Spine computed tomography; sagittal reformat; 283x512 px
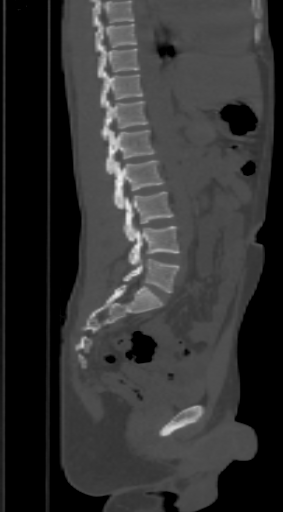
Box values are [left, top, right, bottom] in pixels.
Where the top of the scan cuts through a vertebra, that vertebra gets no label or box.
{"vertebrae":{"L5":[123,259,178,293],"L4":[129,226,178,264],"L3":[123,191,173,241],"L2":[112,160,164,209],"L1":[106,129,156,174],"T12":[101,100,147,140],"T11":[101,70,142,107],"T10":[98,45,139,77],"T9":[95,21,136,51]}}